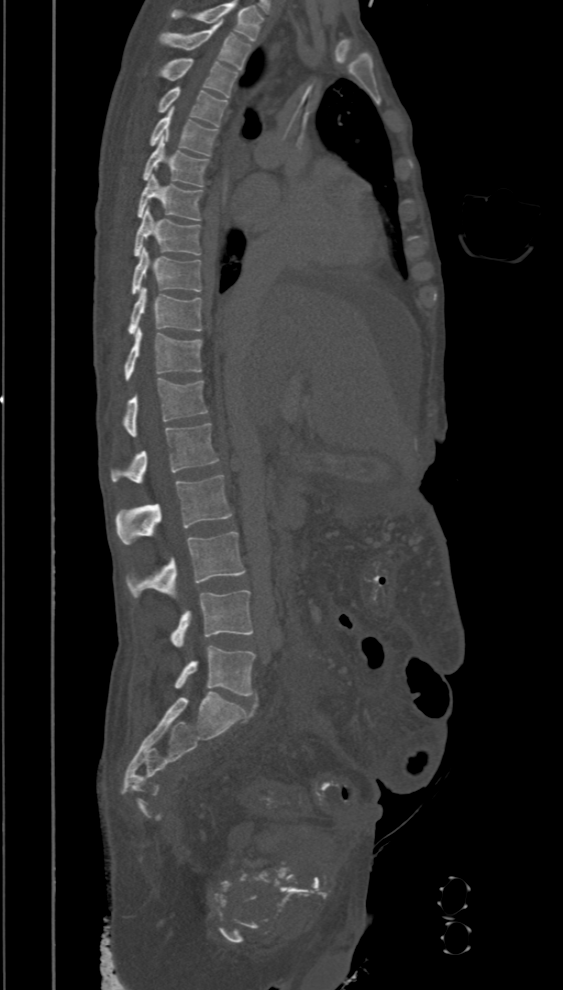
Spine computed tomography — image 394 mm wide — sagittal view — bone-window reconstruction

Columns x1, y1, x2, y2 give each box's top-left and bottom-right pixels.
The highest labeled vertebra in this scan is T2; the lowest is L5.
| vertebra | x1 | y1 | x2 | y2 |
|---|---|---|---|---|
| T2 | 159 | 23 | 252 | 69 |
| T3 | 162 | 58 | 238 | 98 |
| T4 | 158 | 87 | 228 | 126 |
| T5 | 150 | 107 | 218 | 155 |
| T6 | 143 | 136 | 208 | 186 |
| T7 | 137 | 175 | 201 | 221 |
| T8 | 134 | 206 | 200 | 256 |
| T9 | 131 | 247 | 201 | 294 |
| T10 | 129 | 287 | 201 | 335 |
| T11 | 124 | 329 | 202 | 381 |
| T12 | 124 | 377 | 208 | 436 |
| L1 | 111 | 423 | 219 | 484 |
| L2 | 115 | 475 | 232 | 544 |
| L3 | 125 | 532 | 244 | 600 |
| L4 | 169 | 590 | 253 | 646 |
| L5 | 174 | 645 | 256 | 696 |